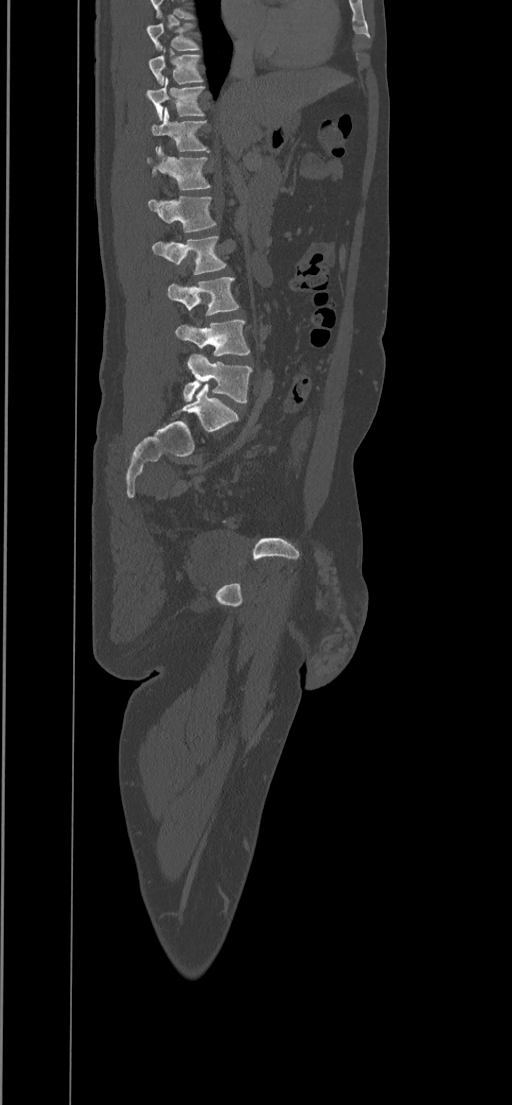
Spine computed tomography · sagittal view · W/L 1800/400 HU

Box edges are left/top/right/bottom in pixels.
Labels in this scan begin with T8 at the top and end with L5 at the bottom.
| vertebra | x1 | y1 | x2 | y2 |
|---|---|---|---|---|
| T8 | 146 | 23 | 199 | 50 |
| T9 | 148 | 47 | 203 | 85 |
| T10 | 146 | 78 | 204 | 120 |
| T11 | 151 | 107 | 210 | 153 |
| T12 | 147 | 145 | 210 | 190 |
| L1 | 147 | 195 | 216 | 232 |
| L2 | 152 | 236 | 225 | 274 |
| L3 | 167 | 277 | 238 | 315 |
| L4 | 175 | 320 | 249 | 356 |
| L5 | 183 | 354 | 253 | 402 |